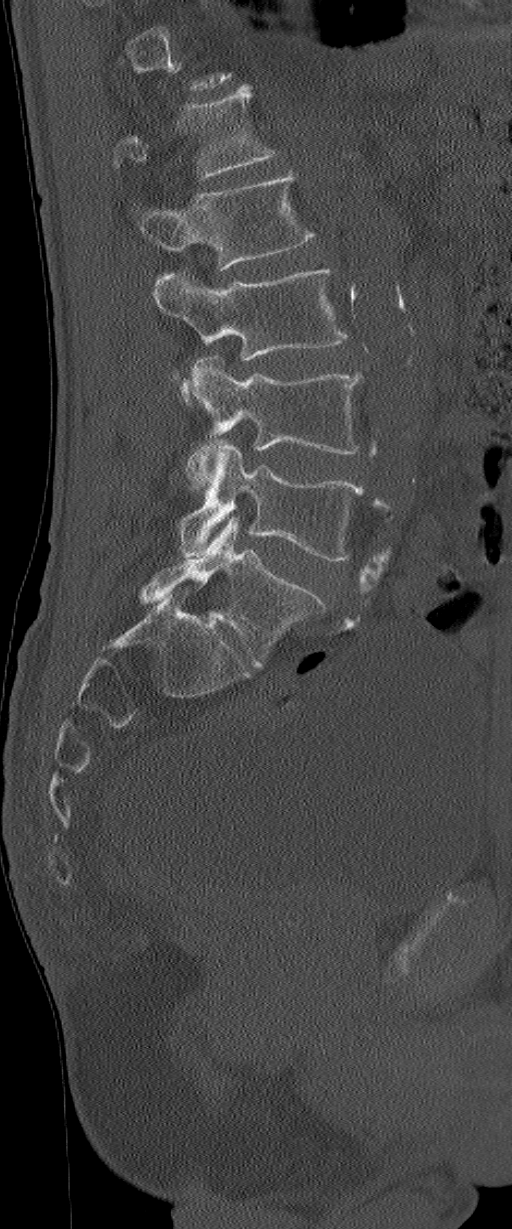 Spine computed tomography — sagittal reformat — 512x1229 px
In the table, x1 and y1 are a box's top-left corner and x2 and y2 its bottom-right corner, in pixels.
This scan's labels start at L1 at the top and end at L6 at the bottom.
In these labels the spine has an L6, a sixth lumbar vertebra below L5.
| vertebra | x1 | y1 | x2 | y2 |
|---|---|---|---|---|
| L1 | 113 | 85 | 278 | 178 |
| L2 | 132 | 172 | 315 | 270 |
| L3 | 153 | 269 | 346 | 403 |
| L4 | 182 | 355 | 362 | 491 |
| L5 | 179 | 439 | 362 | 562 |
| L6 | 140 | 516 | 328 | 667 |